CT — sagittal plane, index 204 — 12 vertebrae labeled in this scan
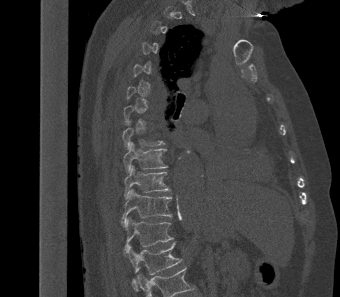
Each box is [x1, y1, x2, y2] in pixels: top-left corner, then bottom-right corner.
Not every vertebra on this slice has a box: a vertebra is boxed only from the first to the last slice where its cross-section is at least a third of its largest, and this slice is outside that range for at least one of them.
{"vertebrae":{"T8":[122,121,165,149],"T9":[123,142,167,172],"T10":[124,165,171,199],"T11":[121,188,172,227],"T12":[123,216,173,252],"L1":[126,242,181,289]}}